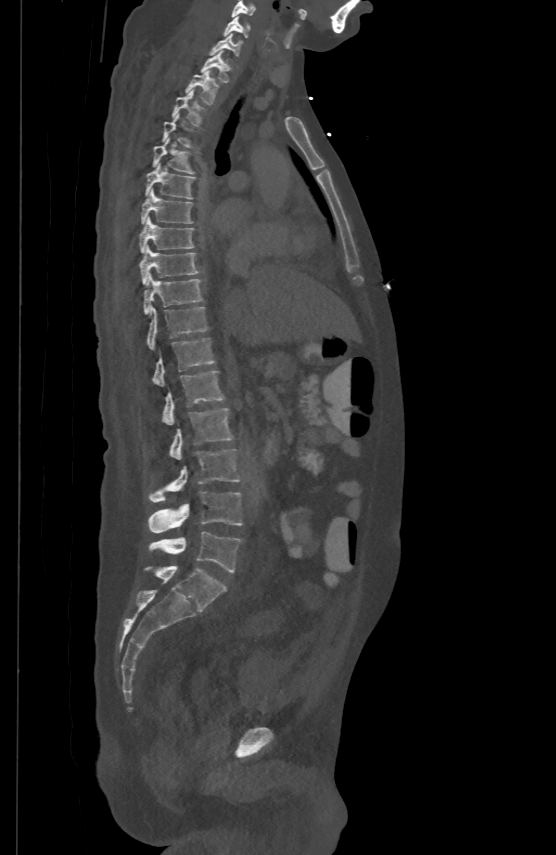 Spine computed tomography; sagittal view; Bone window (WL 400, WW 1800); the image is 500 mm wide
Each vertebra maps to its box as [x1, y1, x2, y2], the pixel coordinates of its top-left and bottom-right corners.
A vertebra gets a box only on the slices from the first to the last where its cross-section is at least a third of its largest; on a slice outside that range it gets none.
{"vertebrae":{"C5":[231,1,255,16],"C6":[224,15,250,36],"C7":[208,32,241,54],"T1":[201,49,228,81],"T2":[186,70,217,103],"T3":[173,90,200,124],"T5":[153,137,193,173],"T6":[145,163,194,199],"T7":[141,190,192,222],"T8":[139,216,193,252],"T9":[139,245,198,283],"T10":[143,273,202,313],"T11":[148,305,207,348],"T12":[153,336,215,384],"L1":[162,370,224,423],"L2":[170,407,232,460],"L3":[150,448,239,502],"L4":[149,492,242,532],"L5":[150,532,241,572]}}